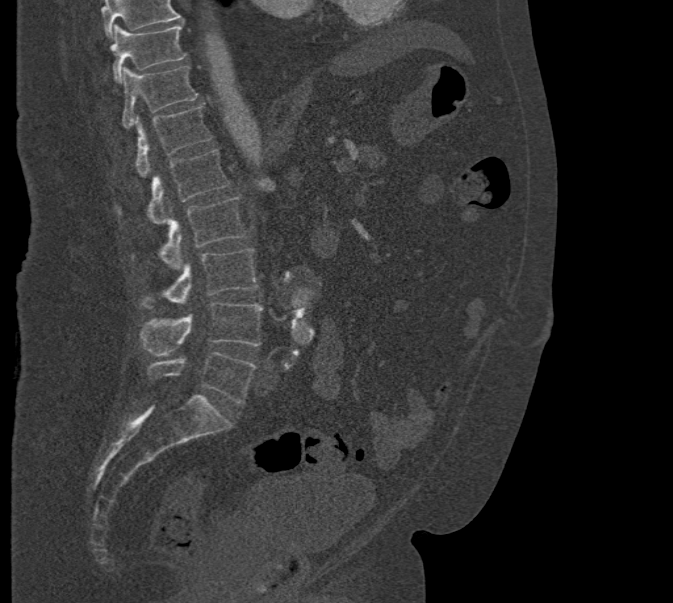
Spine CT · 471 mm across the image · sagittal view · 673x603 px. In the table, x1 and y1 are a box's top-left corner and x2 and y2 its bottom-right corner, in pixels.
Where the top of the scan cuts through a vertebra, that vertebra gets no label or box.
| vertebra | x1 | y1 | x2 | y2 |
|---|---|---|---|---|
| T10 | 112 | 25 | 186 | 82 |
| T11 | 121 | 66 | 197 | 128 |
| T12 | 134 | 106 | 212 | 177 |
| L1 | 116 | 149 | 229 | 224 |
| L2 | 131 | 196 | 245 | 268 |
| L3 | 139 | 249 | 258 | 309 |
| L4 | 139 | 302 | 262 | 355 |
| L5 | 147 | 352 | 257 | 404 |